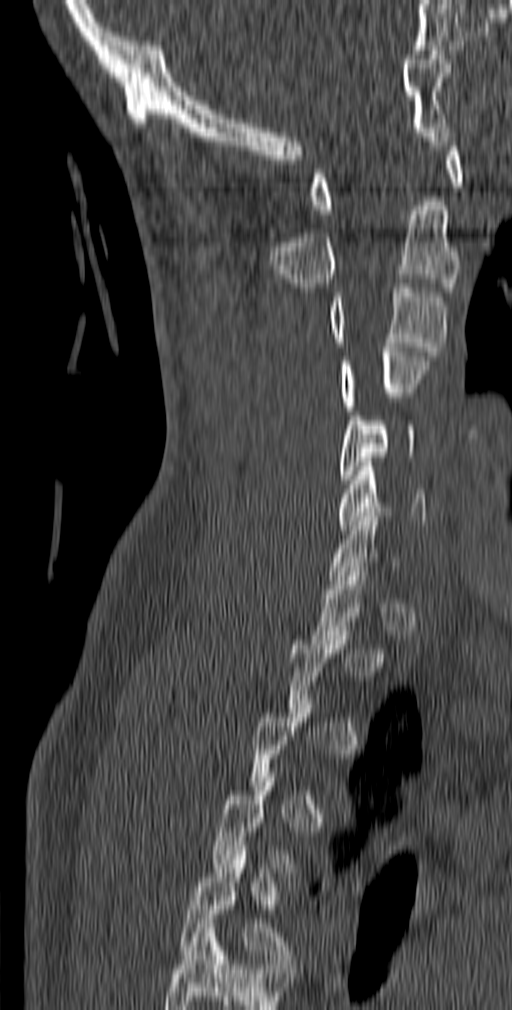

CT, spine · sagittal view · Bone window (WL 400, WW 1800)
Each vertebra maps to its box as [x1, y1, x2, y2], the pixel coordinates of its top-left and bottom-right corners.
Each vertebra is boxed only on the slices from the first to the last where its cross-section reaches a third of its largest, so a slice outside that range leaves it unboxed.
Labels in this scan begin with C1 at the top and end with T5 at the bottom.
{"vertebrae":{"C1":[309,142,462,214],"C2":[270,201,459,292],"C3":[327,283,447,356],"C4":[338,347,428,415],"C5":[338,411,414,484],"C6":[338,462,426,529],"T5":[180,850,294,968]}}